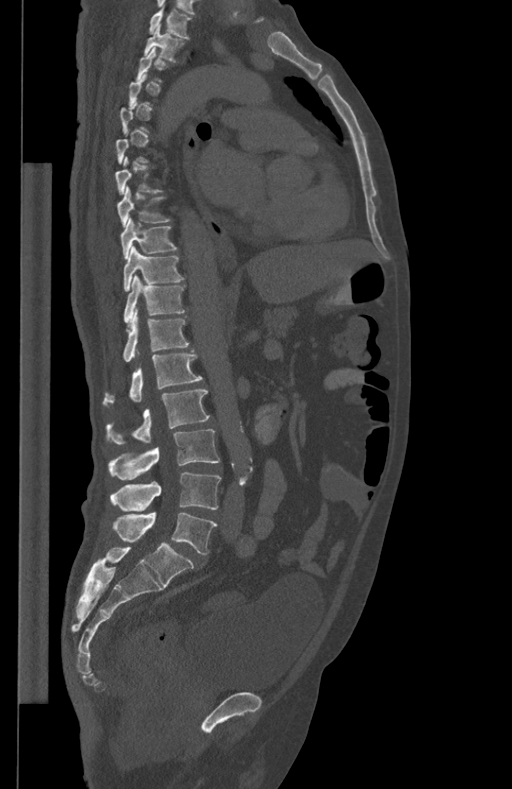 Spine CT — sagittal view — W/L 1800/400 HU — 512x789 px
A vertebra gets a box only on the slices from the first to the last where its cross-section is at least a third of its largest; on a slice outside that range it gets none.
<vertebrae><v name="T1" x1="149" y1="7" x2="191" y2="39"/><v name="T2" x1="144" y1="25" x2="183" y2="63"/><v name="T8" x1="117" y1="186" x2="170" y2="226"/><v name="T9" x1="120" y1="218" x2="177" y2="258"/><v name="T10" x1="124" y1="246" x2="184" y2="291"/><v name="T11" x1="124" y1="275" x2="184" y2="327"/><v name="T12" x1="123" y1="309" x2="189" y2="362"/><v name="L1" x1="103" y1="350" x2="202" y2="405"/><v name="L2" x1="106" y1="389" x2="209" y2="445"/><v name="L3" x1="108" y1="429" x2="220" y2="480"/><v name="L4" x1="110" y1="472" x2="221" y2="511"/><v name="L5" x1="112" y1="512" x2="217" y2="554"/></vertebrae>